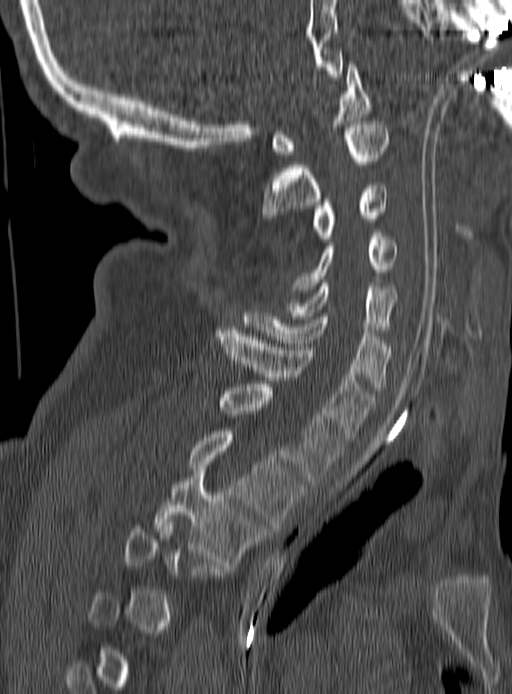
CT, spine — sagittal view. Boxes are given in columns x1, y1, x2, y2, the pixel coordinates of their top-left and bottom-right corners.
A vertebra is boxed only from the first to the last slice where its cross-section is at least a third of its largest; slices outside that range leave it without a box.
| vertebra | x1 | y1 | x2 | y2 |
|---|---|---|---|---|
| C1 | 270 | 64 | 370 | 154 |
| C2 | 262 | 121 | 388 | 221 |
| C3 | 311 | 182 | 388 | 242 |
| C4 | 290 | 232 | 396 | 295 |
| C5 | 289 | 283 | 396 | 332 |
| C6 | 243 | 310 | 392 | 390 |
| C7 | 216 | 330 | 374 | 440 |
| T1 | 219 | 384 | 342 | 484 |
| T2 | 189 | 431 | 304 | 528 |
| T3 | 154 | 472 | 264 | 565 |